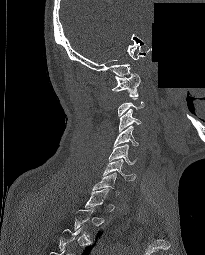

Computed tomography of the spine · sagittal view · Bone window (WL 400, WW 1800) · 205x255 px · part of the image is constant black where the scan was masked

Each box is [x1, y1, x2, y2] in pixels: top-left corner, then bottom-right corner.
Not every vertebra on this slice has a box: a vertebra is boxed only from the first to the last slice where its cross-section is at least a third of its largest, and this slice is outside that range for at least one of them.
{"vertebrae":{"C1":[111,73,140,97],"C3":[118,108,141,132],"C4":[113,125,138,147],"C5":[109,144,137,164],"C6":[103,159,135,181],"C7":[92,172,119,194]}}